CT · Sagittal slice 39/59 · bone window
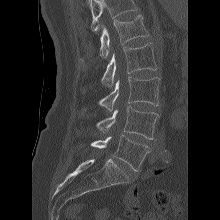
In the table, x1 and y1 are a box's top-left corner and x2 and y2 its bottom-right corner, in pixels.
Vertebrae that run past the top of the scan are left unlabeled.
| vertebra | x1 | y1 | x2 | y2 |
|---|---|---|---|---|
| L5 | 91 | 134 | 150 | 171 |
| L4 | 96 | 106 | 159 | 139 |
| L3 | 97 | 76 | 160 | 111 |
| L2 | 101 | 43 | 157 | 86 |
| L1 | 100 | 14 | 149 | 58 |